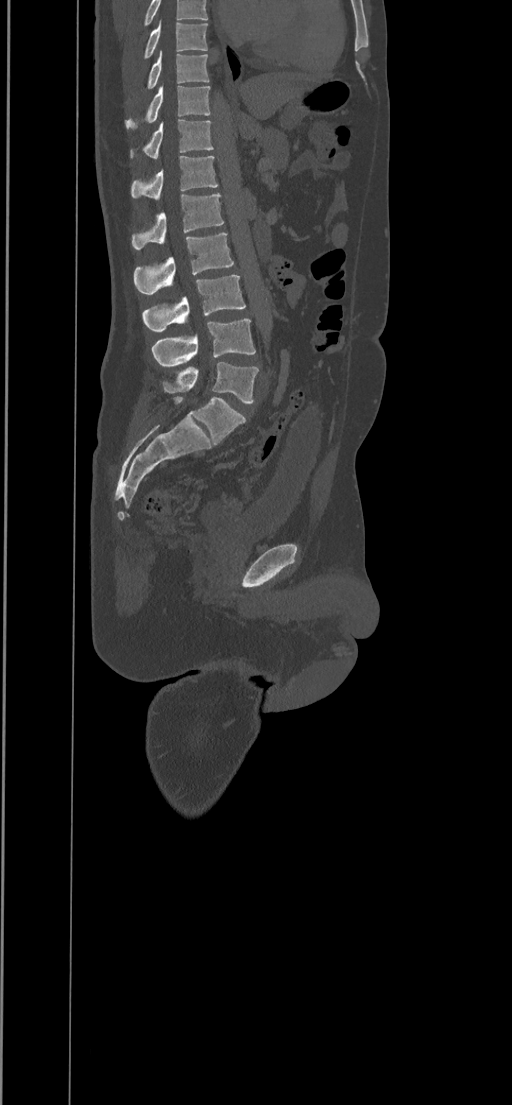

Spine CT. 434 mm across the image. sagittal view
Boxes are (x1, y1, x2, y2) in pixels. Labels in this scan begin with T8 at the top and end with L5 at the bottom. 10 vertebrae labeled — T8 at (143, 20, 208, 60); T9 at (126, 50, 209, 104); T10 at (125, 86, 210, 130); T11 at (130, 119, 214, 158); T12 at (131, 156, 218, 201); L1 at (131, 193, 224, 250); L2 at (133, 233, 234, 294); L3 at (143, 275, 245, 331); L4 at (152, 319, 255, 366); L5 at (162, 362, 258, 404).